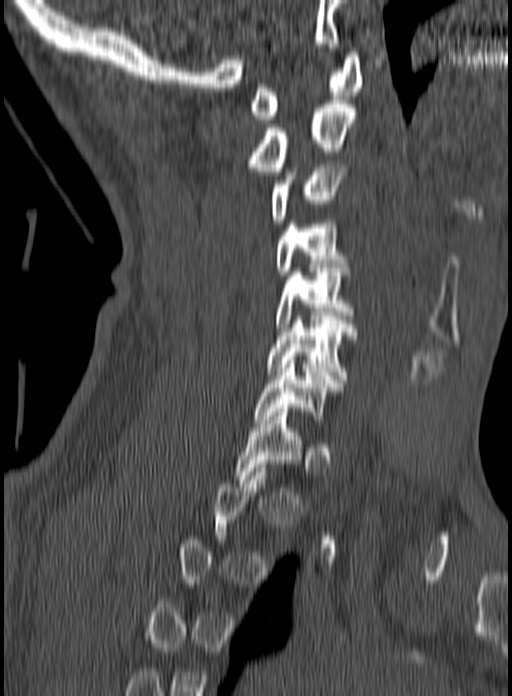 CT. sagittal view. bone window. image 160 mm wide
Box values are [left, top, right, bottom] in pixels.
Each vertebra is boxed only on the slices from the first to the last where its cross-section reaches a third of its largest, so a slice outside that range leaves it unboxed.
{"vertebrae":{"C1":[248,52,362,119],"C2":[248,100,355,171],"C3":[270,160,347,223],"C4":[275,220,349,279],"C5":[276,272,353,331],"C6":[266,316,356,383],"C7":[254,360,343,423],"T1":[233,408,302,479]}}